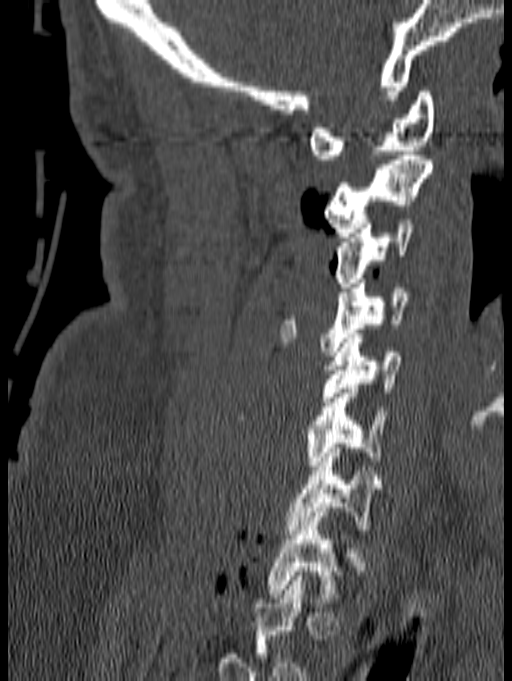

Computed tomography of the spine; sagittal view; the image spans 140 mm across
Bounding boxes as [x1, y1, x2, y2] in pixel coordinates.
Labels in this scan begin with C1 at the top and end with T1 at the bottom.
Vertebra bounding boxes:
- T1: [266, 507, 341, 602]
- C7: [286, 448, 377, 534]
- C6: [236, 384, 390, 470]
- C5: [321, 334, 403, 401]
- C4: [279, 279, 408, 356]
- C3: [334, 219, 414, 287]
- C2: [324, 151, 433, 237]
- C1: [308, 91, 435, 159]